Spine computed tomography; sagittal reformat; 256x256 px
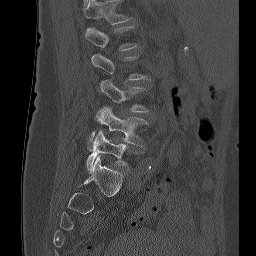
Each vertebra is boxed only on the slices from the first to the last where its cross-section reaches a third of its largest, so a slice outside that range leaves it unboxed.
The highest labeled vertebra in this scan is L1; the lowest is L5.
<vertebrae><v name="L1" x1="85" y1="26" x2="137" y2="50"/><v name="L3" x1="99" y1="80" x2="148" y2="112"/><v name="L4" x1="88" y1="107" x2="147" y2="145"/><v name="L5" x1="86" y1="130" x2="127" y2="170"/></vertebrae>